Computed tomography of the spine; sagittal view; Bone window (WL 400, WW 1800)
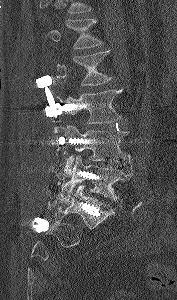

Boxes: x1 y1 x2 y2 (pixel coords, space-separated).
Where the top of the scan cuts through a vertebra, that vertebra gets no label or box.
Vertebra bounding boxes:
- L1: 45 18 102 48
- L2: 56 50 112 85
- L3: 59 89 122 123
- L4: 61 125 130 167
- L5: 61 156 132 203